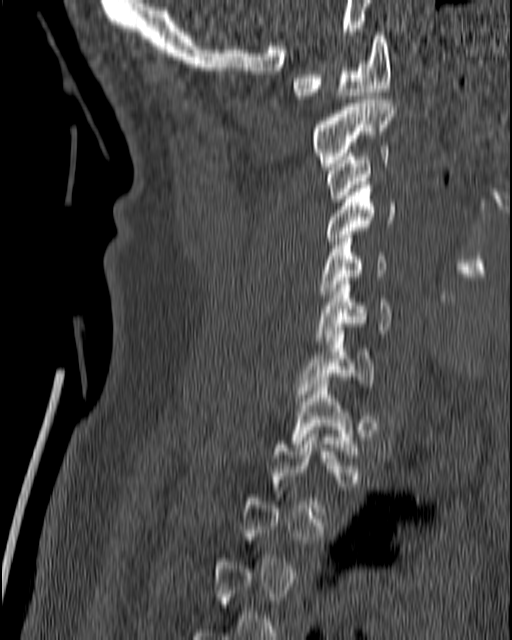

Spine CT; sagittal view; W/L 1800/400 HU. Columns x1, y1, x2, y2 give each box's top-left and bottom-right pixels.
A vertebra is boxed only from the first to the last slice where its cross-section is at least a third of its largest; slices outside that range leave it without a box.
| vertebra | x1 | y1 | x2 | y2 |
|---|---|---|---|---|
| C1 | 293 | 32 | 390 | 99 |
| C2 | 311 | 100 | 397 | 166 |
| C3 | 325 | 146 | 389 | 202 |
| C4 | 317 | 181 | 395 | 248 |
| C5 | 318 | 235 | 387 | 301 |
| C6 | 314 | 277 | 392 | 340 |
| C7 | 297 | 327 | 375 | 397 |
| T1 | 291 | 377 | 358 | 454 |